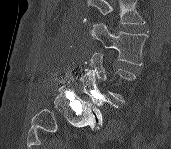
Spine CT — sagittal view
Box values are [left, top, right, bottom] in pixels.
Vertebrae that run past the top of the scan are left unlabeled.
{"vertebrae":{"L3":[90,23,147,65],"L4":[81,52,136,102],"L5":[79,70,118,129]}}